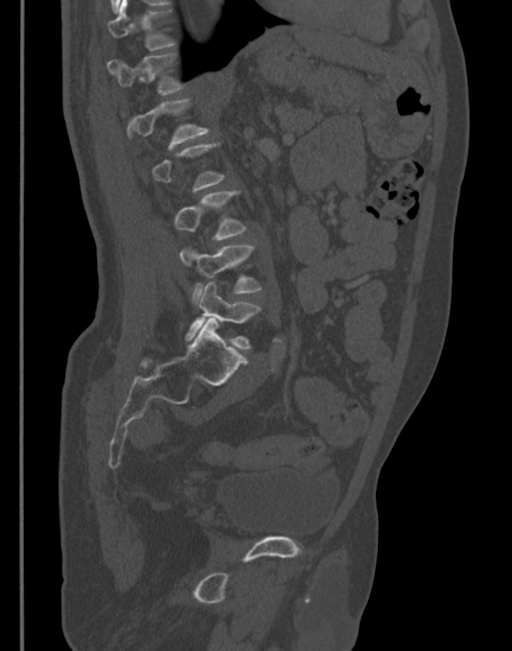
CT spine — sagittal reformat — W/L 1800/400 HU
Boxes below are [x1, y1, x2, y2] in pixels.
A vertebra gets a box only on the slices from the first to the last where its cross-section is at least a third of its largest; on a slice outside that range it gets none.
{"vertebrae":{"T11":[108,0,177,50],"T12":[107,52,186,95],"L1":[120,97,209,149],"L3":[173,191,247,240],"L4":[179,246,261,304],"L5":[185,280,261,348]}}